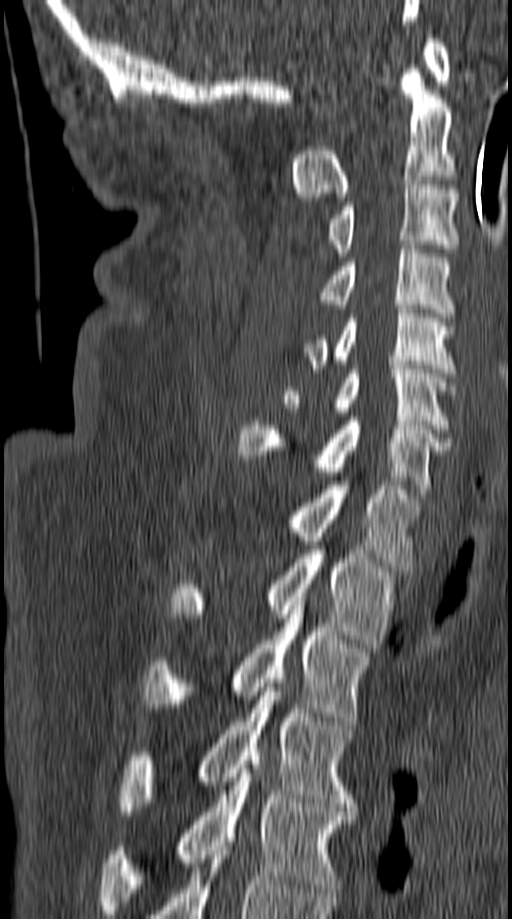
Spine computed tomography; sagittal view; bone window
<vertebrae><v name="C1" x1="424" y1="34" x2="450" y2="85"/><v name="C2" x1="290" y1="69" x2="454" y2="201"/><v name="C3" x1="328" y1="180" x2="459" y2="257"/><v name="C4" x1="321" y1="245" x2="454" y2="317"/><v name="C5" x1="304" y1="305" x2="457" y2="377"/><v name="C6" x1="283" y1="365" x2="454" y2="429"/><v name="C7" x1="238" y1="417" x2="451" y2="497"/><v name="T1" x1="286" y1="481" x2="419" y2="570"/><v name="T2" x1="170" y1="550" x2="395" y2="652"/><v name="T3" x1="142" y1="597" x2="371" y2="721"/><v name="T4" x1="118" y1="683" x2="354" y2="815"/><v name="T5" x1="101" y1="760" x2="352" y2="914"/></vertebrae>